Spine computed tomography; sagittal reformat; bone-window reconstruction; the image spans 165 mm across
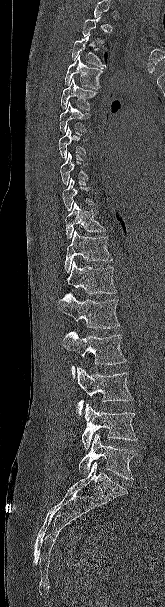

A vertebra gets a box only on the slices from the first to the last where its cross-section is at least a third of its largest; on a slice outside that range it gets none.
<vertebrae><v name="T3" x1="71" y1="34" x2="106" y2="67"/><v name="T4" x1="65" y1="55" x2="103" y2="88"/><v name="T5" x1="60" y1="78" x2="98" y2="109"/><v name="T6" x1="59" y1="102" x2="90" y2="133"/><v name="T7" x1="59" y1="126" x2="88" y2="159"/><v name="T8" x1="60" y1="152" x2="89" y2="185"/><v name="T9" x1="62" y1="178" x2="94" y2="211"/><v name="T10" x1="65" y1="202" x2="106" y2="239"/><v name="T11" x1="64" y1="230" x2="112" y2="273"/><v name="T12" x1="67" y1="261" x2="117" y2="294"/><v name="L1" x1="58" y1="293" x2="119" y2="328"/><v name="L2" x1="62" y1="330" x2="126" y2="378"/><v name="L3" x1="76" y1="367" x2="133" y2="415"/><v name="L4" x1="81" y1="403" x2="137" y2="450"/><v name="L5" x1="78" y1="433" x2="136" y2="480"/></vertebrae>